Spine computed tomography — Sagittal slice 258/512 — bone-window reconstruction
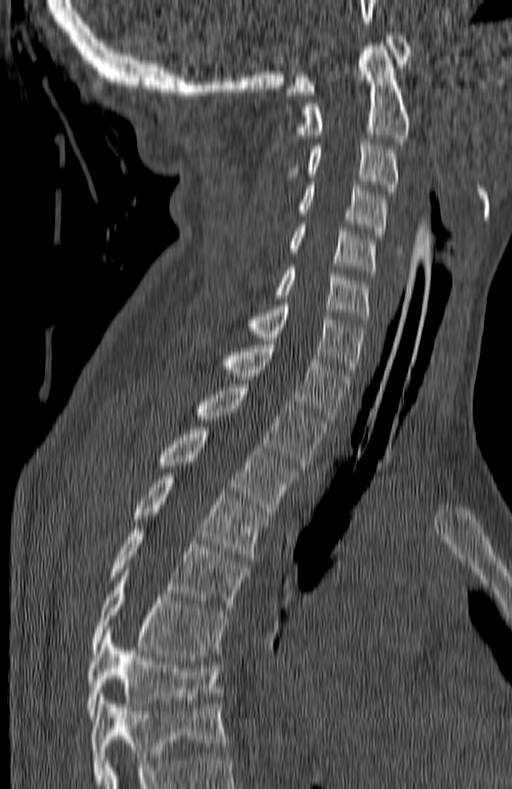 Box edges are left/top/right/bottom in pixels.
In this scan, the topmost labeled vertebra is C1 and the lowest is T7.
T7: left=86, top=633, right=222, bottom=717
T6: left=92, top=569, right=227, bottom=657
T5: left=109, top=526, right=247, bottom=611
T4: left=132, top=473, right=264, bottom=561
T3: left=157, top=427, right=296, bottom=511
T2: left=194, top=384, right=324, bottom=468
T1: left=217, top=341, right=350, bottom=422
C7: left=209, top=302, right=364, bottom=376
C6: left=274, top=267, right=370, bottom=323
C5: left=288, top=224, right=375, bottom=276
C4: left=297, top=185, right=387, bottom=237
C3: left=285, top=142, right=398, bottom=195
C2: left=297, top=43, right=410, bottom=141
C1: left=286, top=32, right=409, bottom=95